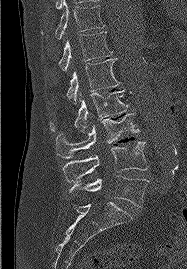

Spine CT — sagittal view
Box values are [left, top, right, bottom] in pixels.
{"vertebrae":{"T11":[41,0,104,39],"T12":[44,32,112,71],"L1":[66,58,120,104],"L2":[50,90,127,131],"L3":[56,114,140,158],"L4":[63,142,147,182],"L5":[69,175,148,207]}}